CT — sagittal view — bone window — part of the image is a flat gray fill, not anatomy
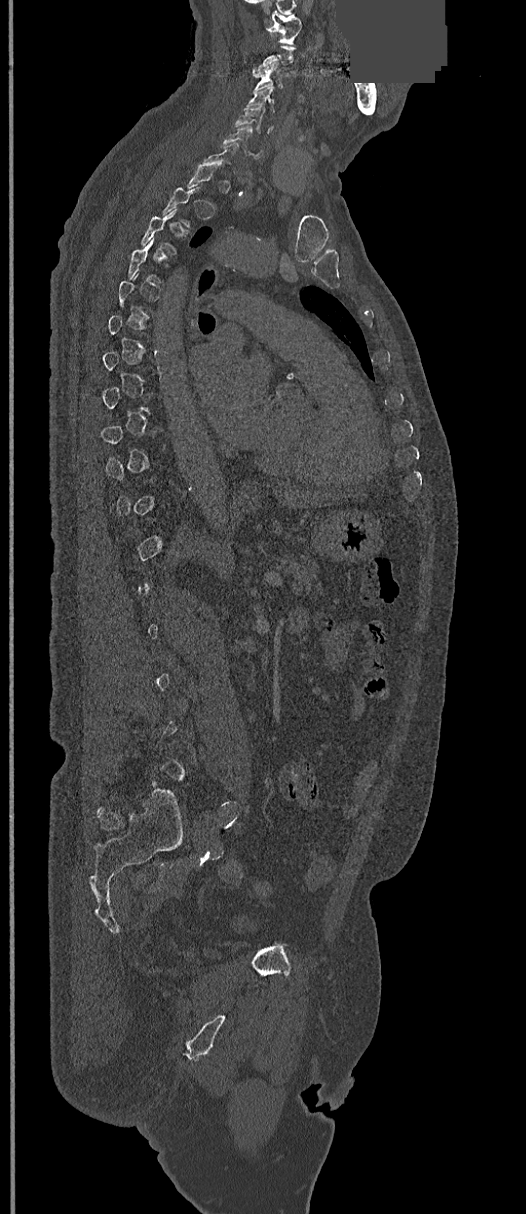
Boxes are (x1, y1, x2, y2) in pixels.
A vertebra is boxed only from the first to the last slice where its cross-section is at least a third of its largest; slices outside that range leave it without a box.
Vertebra bounding boxes:
- C1: (267, 11, 302, 44)
- C3: (254, 62, 284, 88)
- C4: (245, 87, 274, 112)
- C5: (235, 106, 273, 133)
- C6: (221, 126, 263, 159)